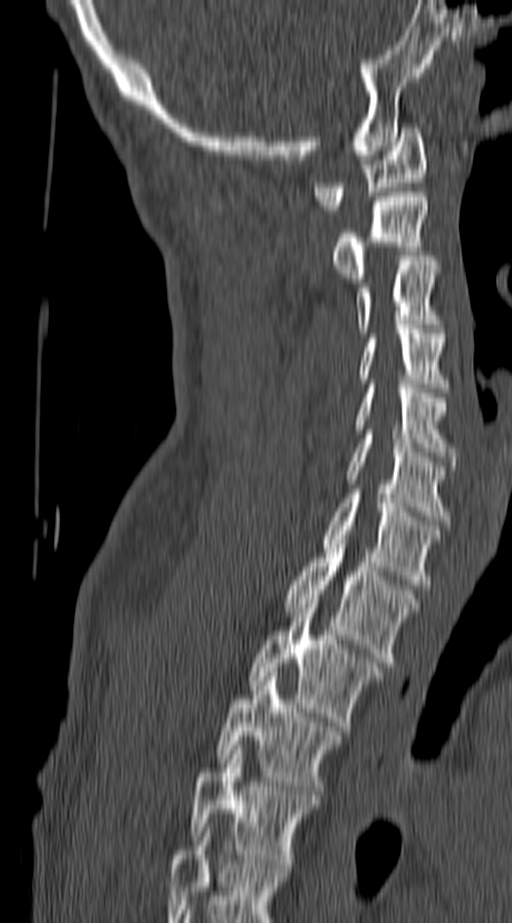
Spine computed tomography — sagittal view — bone-window reconstruction. Box edges are left/top/right/bottom in pixels.
The highest labeled vertebra in this scan is C1; the lowest is T4.
Vertebra bounding boxes:
- C1: left=312, top=123, right=428, bottom=214
- C2: left=330, top=192, right=428, bottom=282
- C3: left=355, top=261, right=443, bottom=333
- C4: left=356, top=329, right=450, bottom=392
- C5: left=352, top=384, right=461, bottom=465
- C6: left=345, top=434, right=450, bottom=525
- C7: left=320, top=494, right=439, bottom=584
- T1: left=283, top=549, right=421, bottom=666
- T2: left=250, top=599, right=384, bottom=730
- T3: left=217, top=672, right=344, bottom=799
- T4: left=188, top=745, right=319, bottom=872